Computed tomography of the spine. sagittal reformat. 556x545 px
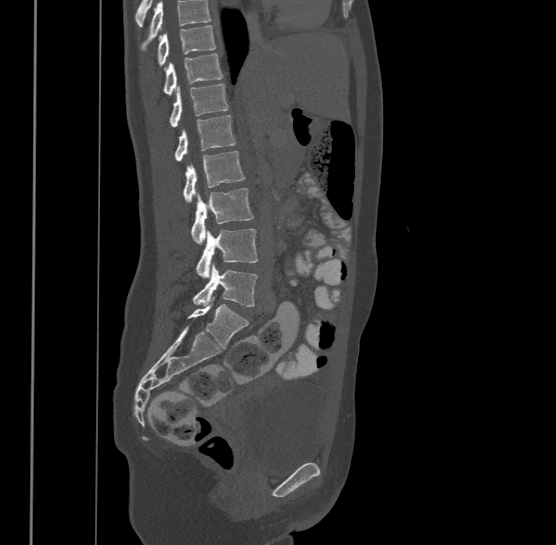 Each box given as x1,y1,x2,y2. Where the top of the scan cuts through a vertebra, that vertebra gets no label or box. Labels in this scan begin with T9 at the top and end with L4 at the bottom. 8 vertebrae labeled — L4 at x1=192, y1=262, x2=258, y2=306; L3 at x1=195, y1=228, x2=258, y2=277; L2 at x1=191, y1=188, x2=253, y2=243; L1 at x1=183, y1=151, x2=244, y2=202; T12 at x1=175, y1=114, x2=236, y2=160; T11 at x1=170, y1=83, x2=228, y2=126; T10 at x1=164, y1=53, x2=223, y2=93; T9 at x1=157, y1=25, x2=216, y2=65.